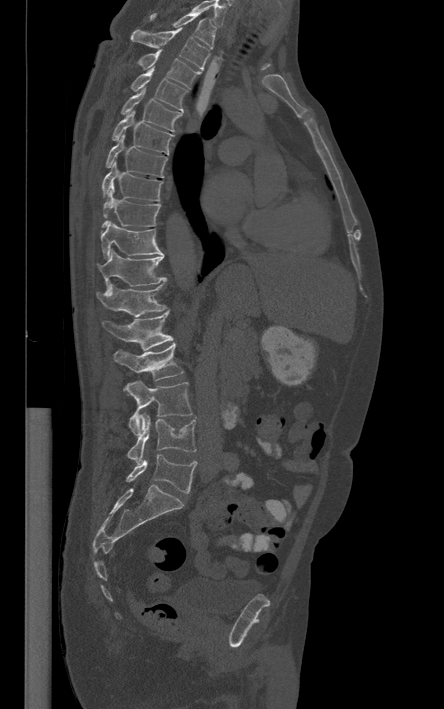 CT, spine; sagittal view; Bone window (WL 400, WW 1800)
The highest labeled vertebra in this scan is T1; the lowest is L5.
<vertebrae><v name="T1" x1="149" y1="13" x2="215" y2="49"/><v name="T2" x1="130" y1="27" x2="209" y2="69"/><v name="T3" x1="138" y1="49" x2="199" y2="87"/><v name="T4" x1="131" y1="68" x2="187" y2="112"/><v name="T5" x1="120" y1="87" x2="181" y2="131"/><v name="T6" x1="112" y1="110" x2="174" y2="154"/><v name="T7" x1="106" y1="130" x2="167" y2="177"/><v name="T8" x1="102" y1="161" x2="162" y2="200"/><v name="T9" x1="102" y1="191" x2="160" y2="227"/><v name="T10" x1="100" y1="220" x2="164" y2="257"/><v name="T11" x1="97" y1="250" x2="166" y2="292"/><v name="T12" x1="96" y1="281" x2="166" y2="316"/><v name="L1" x1="103" y1="311" x2="173" y2="350"/><v name="L2" x1="113" y1="343" x2="183" y2="380"/><v name="L3" x1="123" y1="381" x2="192" y2="435"/><v name="L4" x1="127" y1="413" x2="196" y2="464"/><v name="L5" x1="126" y1="454" x2="196" y2="493"/></vertebrae>